CT spine — Sagittal slice 274/512 — the image spans 350 mm across — scan covers 23 annotated vertebrae — some of the image was removed or blocked out with constant pixels
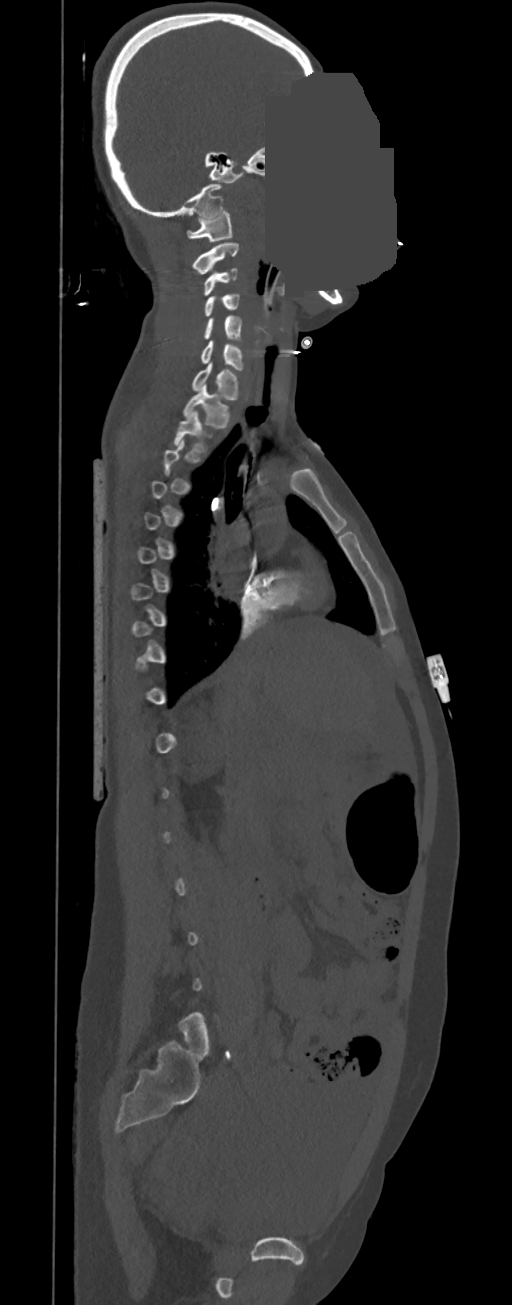 Each box is [x1, y1, x2, y2] in pixels: top-left corner, then bottom-right corner.
Each vertebra is boxed only on the slices from the first to the last where its cross-section reaches a third of its largest, so a slice outside that range leaves it unboxed.
{"vertebrae":{"C1":[187,211,231,241],"C2":[191,242,239,274],"C3":[203,267,237,295],"C4":[203,294,239,316],"C5":[203,316,242,341],"C6":[200,341,243,370],"C7":[191,362,239,399],"T1":[183,384,230,427],"T2":[172,411,212,452]}}